Spine CT. sagittal view
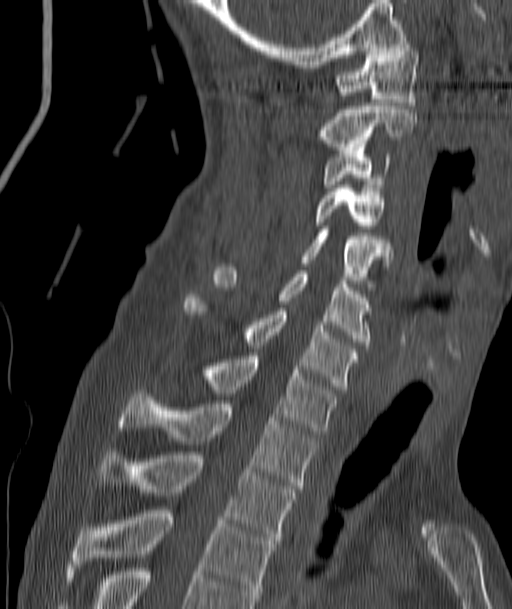 <vertebrae><v name="C1" x1="338" y1="44" x2="419" y2="105"/><v name="C2" x1="321" y1="106" x2="416" y2="150"/><v name="C3" x1="324" y1="147" x2="389" y2="187"/><v name="C4" x1="316" y1="185" x2="383" y2="228"/><v name="C5" x1="302" y1="229" x2="390" y2="276"/><v name="C6" x1="214" y1="267" x2="369" y2="345"/><v name="C7" x1="184" y1="298" x2="359" y2="389"/><v name="T1" x1="206" y1="356" x2="337" y2="434"/><v name="T2" x1="119" y1="390" x2="315" y2="488"/><v name="T3" x1="99" y1="452" x2="296" y2="543"/><v name="T4" x1="72" y1="510" x2="274" y2="601"/></vertebrae>